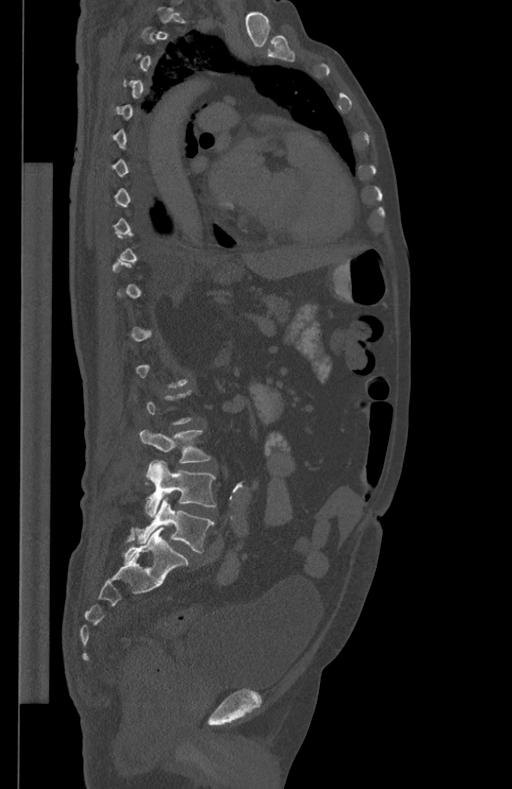 CT, spine; the image is 434 mm wide; sagittal reformat; bone-window reconstruction

Boxes are given in columns x1, y1, x2, y2, the pixel coordinates of their top-left and bottom-right corners.
A vertebra is boxed only from the first to the last slice where its cross-section is at least a third of its largest; slices outside that range leave it without a box.
| vertebra | x1 | y1 | x2 | y2 |
|---|---|---|---|---|
| L3 | 139 | 429 | 211 | 462 |
| L4 | 145 | 460 | 216 | 516 |
| L5 | 134 | 498 | 214 | 553 |